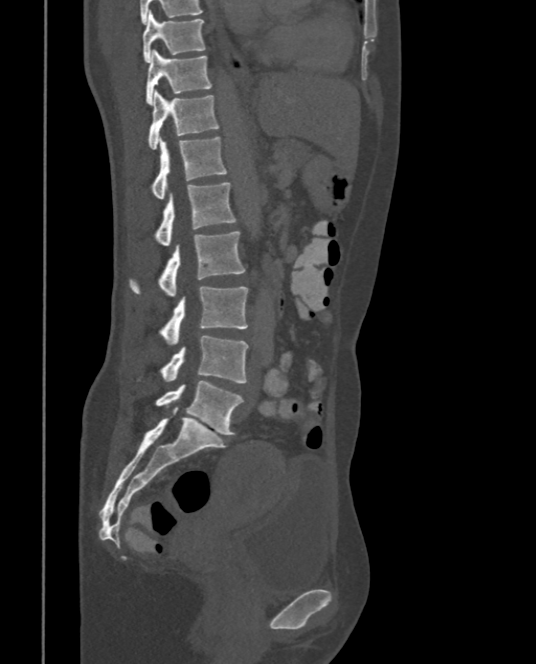 Spine computed tomography — image 375 mm wide — sagittal reformat
Boxes: x1 y1 x2 y2 (pixel coords, space-separated). The labeled vertebrae in this slice are: L5 at 156 380 243 435, L4 at 137 336 249 383, L3 at 158 286 249 343, L2 at 129 231 245 296, L1 at 153 181 235 246, T12 at 150 137 227 199, T11 at 146 91 219 149, T10 at 145 50 211 105, T9 at 142 11 206 62.